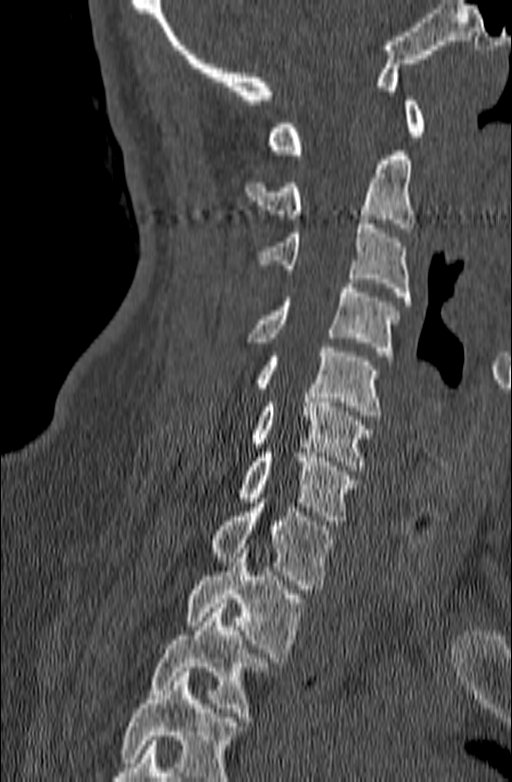

CT spine — sagittal view — bone window. Bounding boxes as [x1, y1, x2, y2] in pixel coordinates.
Vertebrae that run past the bottom of the scan are left unlabeled.
C1: [268, 96, 425, 154]
C2: [244, 151, 414, 232]
C3: [257, 219, 411, 305]
C4: [246, 283, 399, 356]
C5: [254, 347, 381, 420]
C6: [250, 393, 373, 470]
C7: [239, 453, 359, 525]
T1: [210, 498, 333, 589]
T2: [185, 549, 304, 662]
T3: [150, 603, 269, 721]